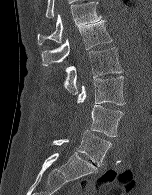 CT, spine. sagittal view. W/L 1800/400 HU
Box edges are left/top/right/bottom in pixels.
| vertebra | x1 | y1 | x2 | y2 |
|---|---|---|---|---|
| T12 | 37 | 1 | 102 | 44 |
| L1 | 41 | 20 | 112 | 66 |
| L2 | 63 | 47 | 122 | 94 |
| L3 | 77 | 76 | 125 | 105 |
| L4 | 72 | 105 | 123 | 136 |
| L5 | 52 | 130 | 111 | 166 |